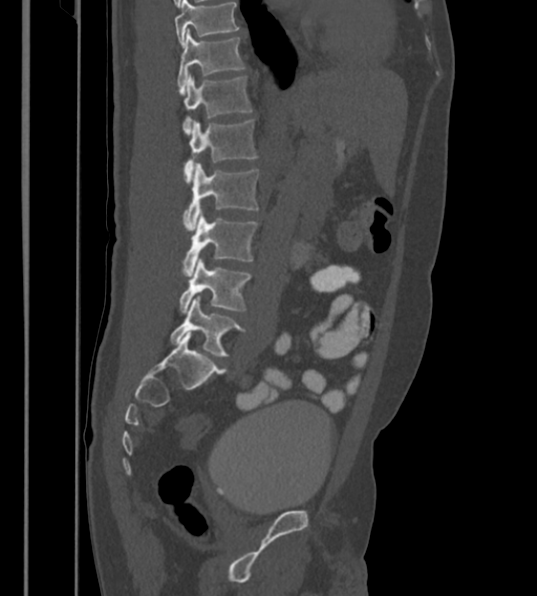

CT, spine. sagittal view
Each box given as x1,y1,x2,y2. Labels in this scan begin with T12 at the top and end with L6 at the bottom. The labels name a sixth lumbar vertebra for this spine: L6, after L5. 7 vertebrae labeled — T12 at x1=177, y1=29, x2=244, y2=90; L1 at x1=182, y1=74, x2=252, y2=133; L2 at x1=184, y1=119, x2=258, y2=183; L3 at x1=182, y1=163, x2=259, y2=233; L4 at x1=182, y1=210, x2=258, y2=276; L5 at x1=180, y1=257, x2=252, y2=313; L6 at x1=170, y1=296, x2=244, y2=356.